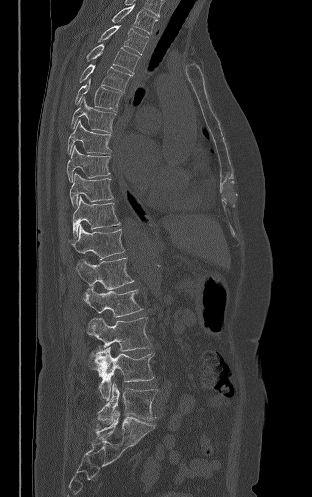
Spine computed tomography. sagittal reformat. bone window. image 312 mm wide

Boxes are (x1, y1, x2, y2) in pixels.
Vertebra bounding boxes:
- L5: (97, 382, 157, 424)
- L4: (90, 347, 154, 400)
- L3: (87, 317, 151, 351)
- L2: (83, 286, 142, 317)
- L1: (75, 257, 134, 289)
- T12: (69, 224, 124, 259)
- T11: (72, 196, 120, 237)
- T10: (69, 173, 113, 206)
- T9: (67, 144, 110, 182)
- T8: (67, 120, 111, 153)
- T7: (71, 97, 116, 133)
- T6: (75, 78, 122, 111)
- T5: (79, 64, 132, 92)
- T4: (86, 44, 139, 73)
- T3: (99, 25, 148, 55)
- T2: (112, 4, 157, 33)